CT · 384 mm across the image · sagittal reformat · bone-window reconstruction · scan covers 16 annotated vertebrae
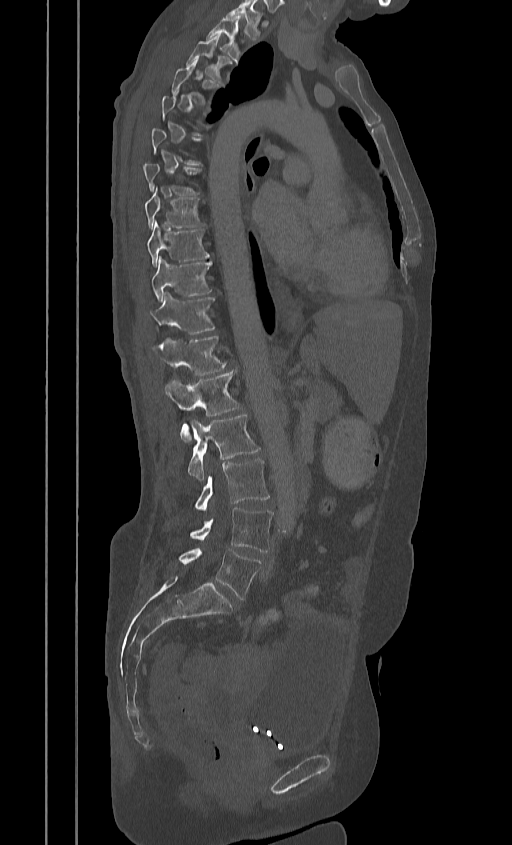 Boxes are (x1, y1, x2, y2) in pixels.
Not every vertebra on this slice has a box: a vertebra is boxed only from the first to the last slice where its cross-section is at least a third of its largest, and this slice is outside that range for at least one of them.
In this scan, the topmost labeled vertebra is T2 and the lowest is L5.
Vertebra bounding boxes:
- L5: (178, 548, 261, 599)
- L4: (190, 508, 273, 552)
- L3: (194, 459, 269, 511)
- L2: (188, 413, 259, 480)
- L1: (165, 371, 240, 440)
- T12: (152, 336, 225, 375)
- T11: (149, 292, 213, 334)
- T10: (150, 257, 211, 300)
- T9: (146, 221, 209, 266)
- T8: (144, 188, 203, 230)
- T7: (141, 163, 199, 195)
- T4: (172, 60, 217, 102)
- T3: (186, 37, 225, 82)
- T2: (206, 17, 240, 62)